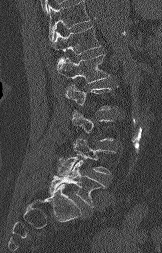 CT spine; sagittal reformat

Each box given as x1,y1,x2,y2.
A vertebra is boxed only from the first to the last slice where its cross-section is at least a third of its largest; slices outside that range leave it without a box.
Vertebrae that run past the top of the scan are left unlabeled.
| vertebra | x1 | y1 | x2 | y2 |
|---|---|---|---|---|
| L5 | 49 | 158 | 104 | 207 |
| L4 | 58 | 139 | 114 | 175 |
| L1 | 56 | 54 | 109 | 83 |
| T12 | 51 | 26 | 100 | 54 |